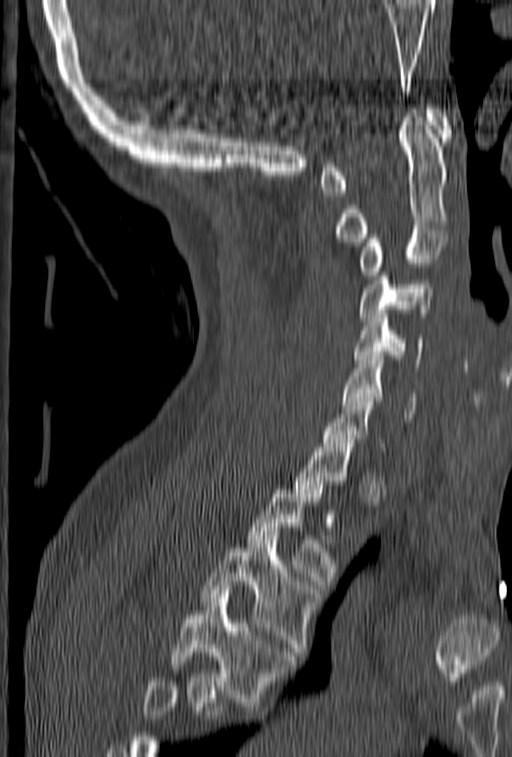 CT; sagittal view
Bounding boxes as [x1, y1, x2, y2] in pixel coordinates.
Not every vertebra on this slice has a box: a vertebra is boxed only from the first to the last slice where its cross-section is at least a third of its largest, and this slice is outside that range for at least one of them.
Where the bottom of the scan cuts through a vertebra, that vertebra gets no label or box.
Vertebra bounding boxes:
- T4: [170, 590, 296, 710]
- T3: [200, 535, 320, 656]
- T2: [247, 485, 337, 585]
- C7: [322, 389, 385, 451]
- C6: [343, 356, 416, 421]
- C5: [353, 310, 423, 371]
- C4: [359, 264, 432, 325]
- C3: [359, 230, 447, 279]
- C2: [336, 109, 449, 246]
- C1: [319, 105, 452, 196]